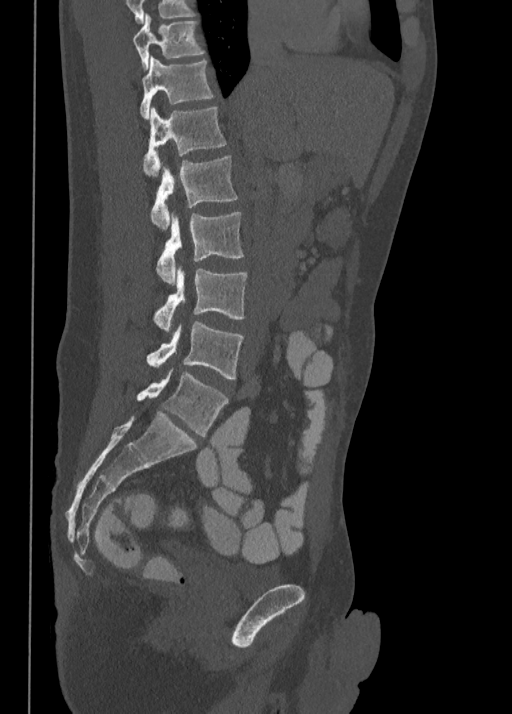
Spine computed tomography — sagittal view — Bone window (WL 400, WW 1800) — the image is 350 mm wide

In the table, x1 and y1 are a box's top-left corner and x2 and y2 its bottom-right corner, in pixels.
| vertebra | x1 | y1 | x2 | y2 |
|---|---|---|---|---|
| T10 | 133 | 14 | 204 | 67 |
| T11 | 140 | 57 | 212 | 119 |
| T12 | 143 | 107 | 226 | 175 |
| L1 | 150 | 157 | 237 | 229 |
| L2 | 156 | 212 | 243 | 283 |
| L3 | 153 | 267 | 247 | 332 |
| L4 | 147 | 321 | 243 | 379 |
| L5 | 137 | 370 | 228 | 436 |